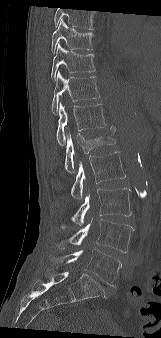

CT spine · sagittal view · 161x338 px
Box edges are left/top/right/bottom in pixels. No box is given to a vertebra that the top edge of the scan cuts off. 9 vertebrae labeled — T9 at left=51, top=18, right=93, bottom=54; T10 at left=51, top=43, right=95, bottom=81; T11 at left=51, top=71, right=99, bottom=115; T12 at left=56, top=102, right=106, bottom=145; L1 at left=65, top=126, right=115, bottom=172; L2 at left=71, top=151, right=125, bottom=199; L3 at left=71, top=188, right=131, bottom=226; L4 at left=57, top=219, right=133, bottom=252; L5 at left=49, top=249, right=121, bottom=286.